CT spine — sagittal view
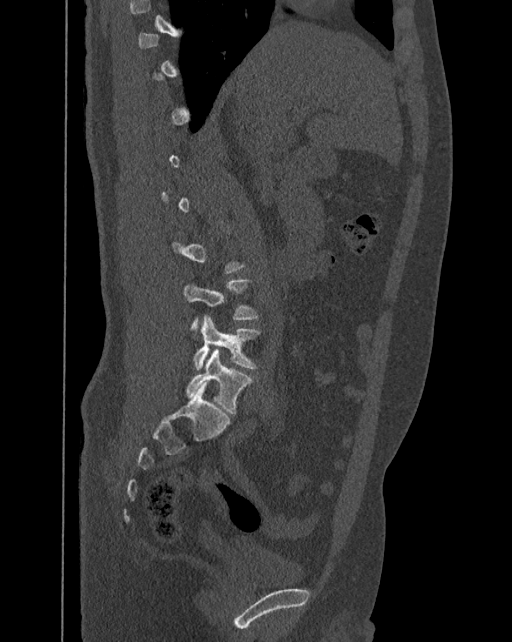
Boxes below are [x1, y1, x2, y2] in pixels.
Not every vertebra on this slice has a box: a vertebra is boxed only from the first to the last slice where its cross-section is at least a third of its largest, and this slice is outside that range for at least one of them.
The labels name a sixth lumbar vertebra for this spine: L6, after L5.
{"vertebrae":{"L5":[193,315,259,369],"L6":[186,349,251,414]}}